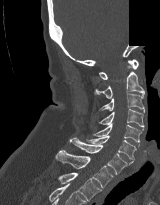

Spine computed tomography — sagittal view — part of the image is constant black where the scan was masked

Each box given as x1,y1,x2,y2.
Vertebra bounding boxes:
- C1: x1=99, y1=59, x2=138, y2=79
- C2: x1=94, y1=66, x2=144, y2=98
- C3: x1=99, y1=93, x2=144, y2=112
- C4: x1=98, y1=109, x2=144, y2=128
- C5: x1=93, y1=123, x2=143, y2=147
- C6: x1=86, y1=135, x2=136, y2=159
- C7: x1=69, y1=137, x2=133, y2=174
- T1: x1=55, y1=150, x2=113, y2=188
- T2: x1=58, y1=172, x2=101, y2=201